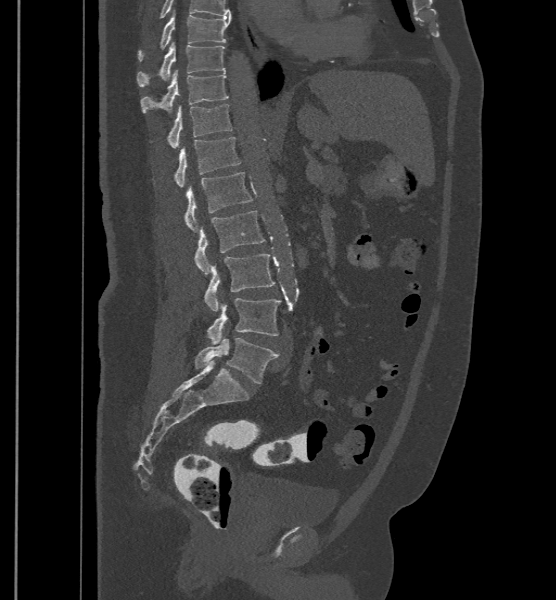

Spine computed tomography — sagittal reformat. Boxes: x1 y1 x2 y2 (pixel coords, space-separated).
The highest labeled vertebra in this scan is T9; the lowest is L6.
In these labels the spine has an L6, a sixth lumbar vertebra below L5.
L6: 194 338 278 383
L5: 206 298 280 344
L4: 203 253 275 311
L3: 194 210 265 273
L2: 184 172 253 231
L1: 174 137 240 187
T12: 167 103 232 148
T11: 140 70 228 112
T10: 137 42 225 87
T9: 137 12 230 61